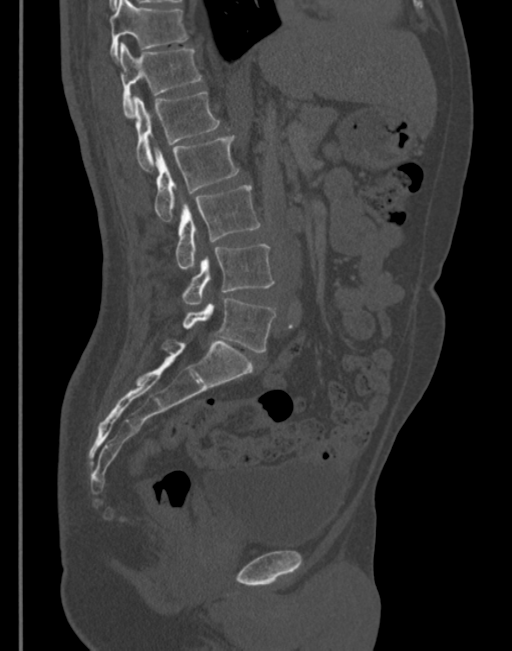

Spine computed tomography. sagittal view. W/L 1800/400 HU. 512x651 px
Each box given as x1,y1,x2,y2.
| vertebra | x1 | y1 | x2 | y2 |
|---|---|---|---|---|
| T11 | 110 | 0 | 187 | 60 |
| T12 | 118 | 43 | 201 | 117 |
| L1 | 133 | 91 | 220 | 169 |
| L2 | 154 | 135 | 239 | 220 |
| L3 | 175 | 185 | 260 | 270 |
| L4 | 182 | 245 | 273 | 304 |
| L5 | 173 | 298 | 275 | 352 |